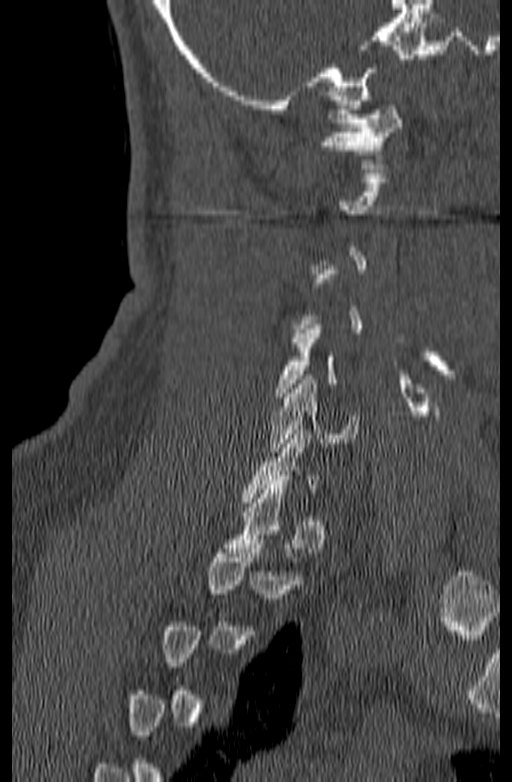

Computed tomography of the spine. sagittal view. bone-window reconstruction
Each box is [x1, y1, x2, y2] in pixels: top-left corner, then bottom-right corner.
A vertebra gets a box only on the slices from the first to the last where its cross-section is at least a third of its largest; on a slice outside that range it gets none.
{"vertebrae":{"C1":[320,105,403,168],"C5":[276,325,337,397],"C6":[269,375,359,452]}}